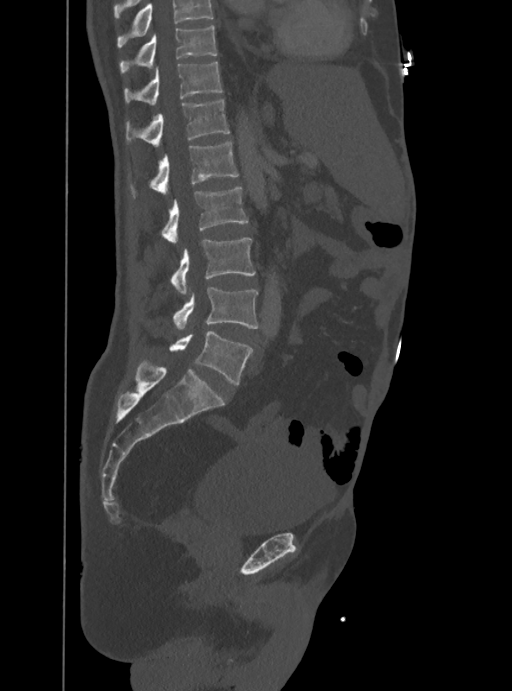
CT spine; sagittal reformat; bone window; 512x691 px; 388 mm wide. Bounding boxes as [x1, y1, x2, y2] in pixel coordinates.
A vertebra cut off by the top edge of the scan is not labeled and has no box.
T10: [120, 25, 217, 73]
T11: [124, 62, 222, 105]
T12: [127, 99, 230, 146]
L1: [150, 141, 238, 194]
L2: [162, 188, 247, 242]
L3: [171, 238, 255, 294]
L4: [173, 287, 259, 330]
L5: [169, 331, 251, 384]